Computed tomography of the spine · Sagittal slice 221/512 · 11 vertebrae labeled in this scan · 140 mm across the image
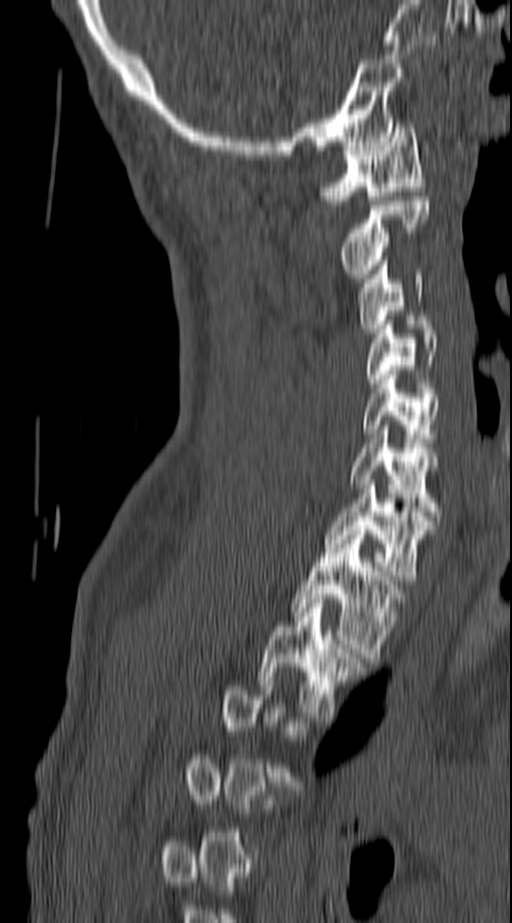 Each box given as x1,y1,x2,y2.
A vertebra gets a box only on the slices from the first to the last where its cross-section is at least a third of its largest; on a slice outside that range it gets none.
| vertebra | x1 | y1 | x2 | y2 |
|---|---|---|---|---|
| T2 | 259 | 599 | 362 | 721 |
| T1 | 294 | 530 | 399 | 657 |
| C7 | 327 | 480 | 432 | 580 |
| C6 | 349 | 425 | 439 | 516 |
| C5 | 363 | 370 | 439 | 442 |
| C4 | 367 | 320 | 436 | 383 |
| C3 | 357 | 256 | 422 | 333 |
| C2 | 341 | 197 | 428 | 278 |
| C1 | 323 | 123 | 425 | 200 |